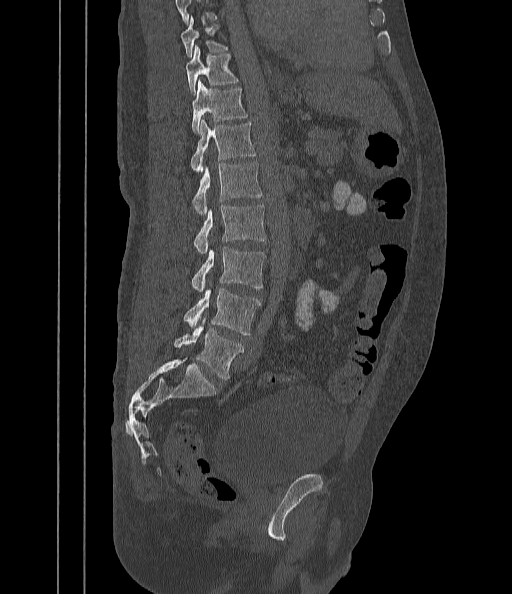 CT spine; sagittal view; bone window; 512x594 px

Boxes are (x1, y1, x2, y2) in pixels.
No box is given to a vertebra that the top edge of the scan cuts off.
L5: (174, 318, 243, 380)
L4: (184, 287, 261, 334)
L3: (192, 245, 265, 293)
L2: (195, 205, 267, 254)
L1: (192, 162, 262, 214)
T12: (191, 120, 255, 171)
T11: (191, 80, 247, 133)
T10: (185, 47, 238, 93)
T9: (179, 19, 227, 56)